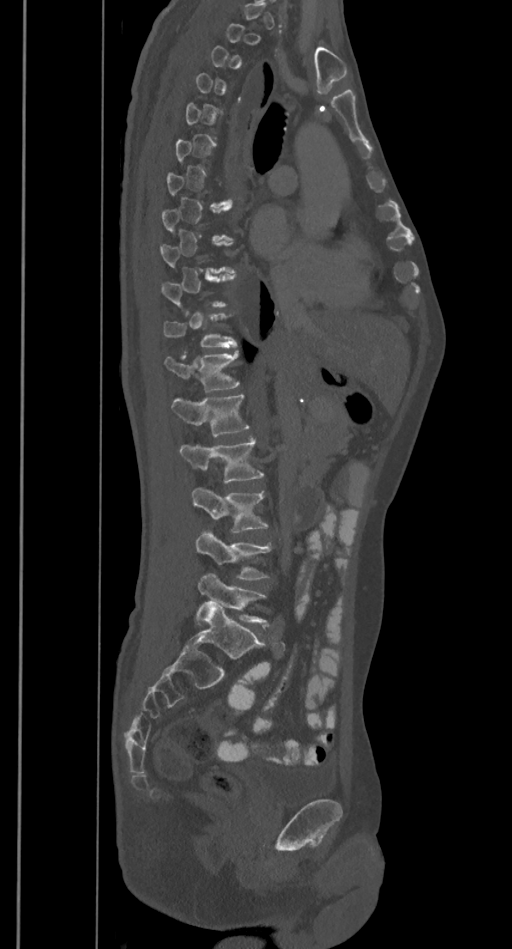 Spine computed tomography; sagittal view; Bone window (WL 400, WW 1800); 512x949 px
Each vertebra maps to its box as [x1, y1, x2, y2], the pixel coordinates of its top-left and bottom-right corners.
Each vertebra is boxed only on the slices from the first to the last where its cross-section reaches a third of its largest, so a slice outside that range leaves it unboxed.
{"vertebrae":{"T12":[165,351,238,390],"L1":[171,395,250,436],"L2":[179,438,263,483],"L3":[191,487,267,532],"L4":[195,531,270,579],"L5":[198,573,266,623]}}